Spine CT. Sagittal slice 248/512. 350 mm wide
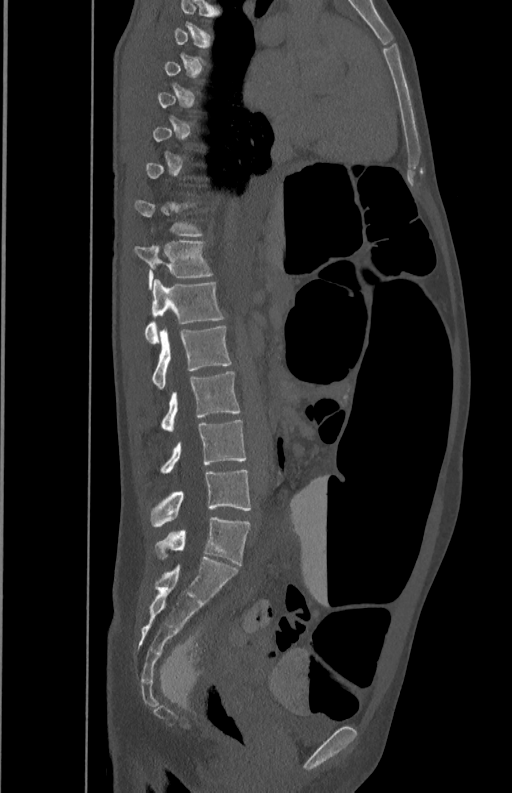

Each vertebra is boxed only on the slices from the first to the last where its cross-section reaches a third of its largest, so a slice outside that range leaves it unboxed.
<vertebrae><v name="T12" x1="134" y1="241" x2="211" y2="287"/><v name="L1" x1="145" y1="279" x2="224" y2="343"/><v name="L2" x1="152" y1="327" x2="231" y2="389"/><v name="L3" x1="162" y1="371" x2="240" y2="432"/><v name="L4" x1="161" y1="420" x2="246" y2="473"/><v name="L5" x1="150" y1="469" x2="250" y2="527"/></vertebrae>